CT · Sagittal slice 359/685 · bone-window reconstruction · scan covers 11 annotated vertebrae · 287 mm image width
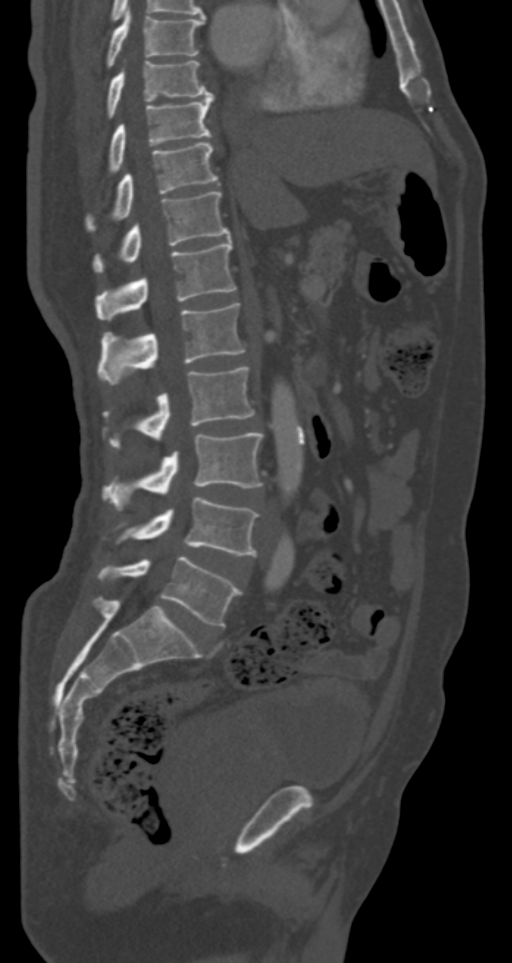

Boxes: x1 y1 x2 y2 (pixel coords, space-separated).
Vertebra bounding boxes:
- T7: 107 9 204 66
- T8: 107 60 211 116
- T9: 108 94 213 171
- T10: 87 142 218 229
- T11: 92 191 231 271
- T12: 96 241 236 320
- L1: 98 303 245 384
- L2: 103 367 254 449
- L3: 103 433 263 511
- L4: 116 497 259 555
- L5: 98 556 241 627